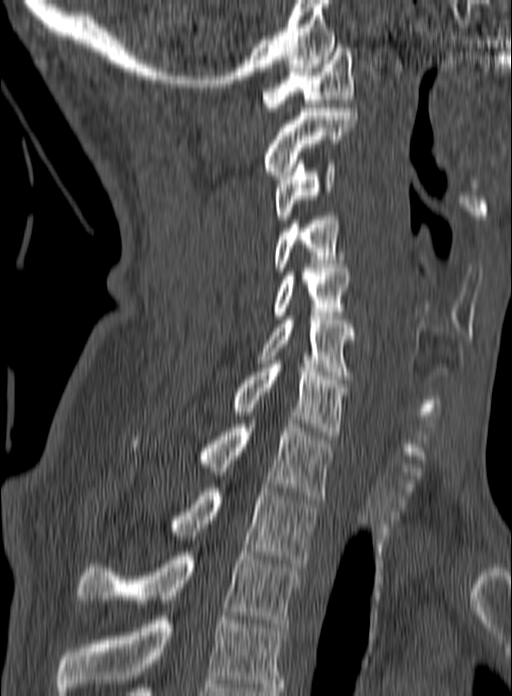 Spine computed tomography. sagittal view. bone-window reconstruction. 512x696 px

The highest labeled vertebra in this scan is C1; the lowest is T3.
<vertebrae><v name="C1" x1="262" y1="48" x2="353" y2="111"/><v name="C2" x1="264" y1="108" x2="357" y2="179"/><v name="C3" x1="273" y1="160" x2="335" y2="223"/><v name="C4" x1="275" y1="216" x2="346" y2="271"/><v name="C5" x1="272" y1="264" x2="350" y2="319"/><v name="C6" x1="257" y1="312" x2="355" y2="379"/><v name="C7" x1="232" y1="360" x2="348" y2="435"/><v name="T1" x1="129" y1="420" x2="333" y2="499"/><v name="T2" x1="171" y1="488" x2="317" y2="567"/><v name="T3" x1="78" y1="552" x2="301" y2="627"/></vertebrae>